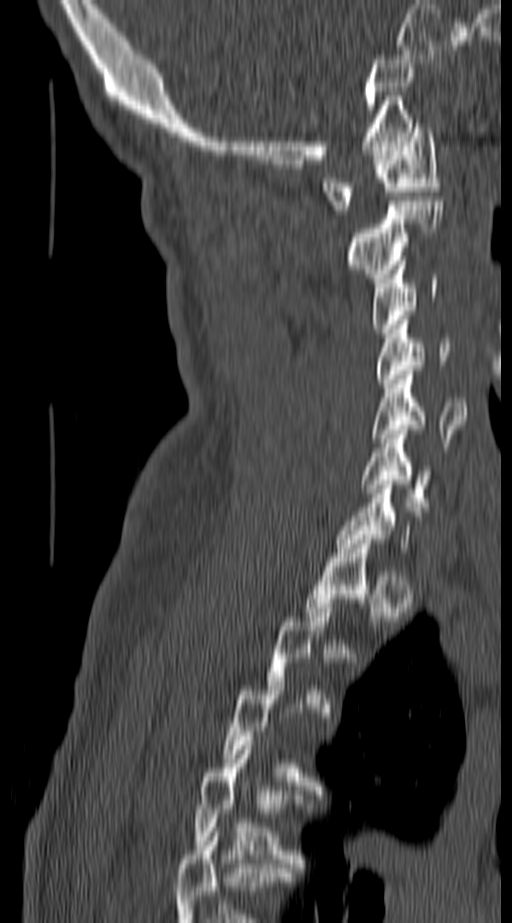

Spine CT — sagittal view — Bone window (WL 400, WW 1800) — 512x923 px
Not every vertebra on this slice has a box: a vertebra is boxed only from the first to the last slice where its cross-section is at least a third of its largest, and this slice is outside that range for at least one of them.
<vertebrae><v name="C1" x1="323" y1="123" x2="440" y2="214"/><v name="C2" x1="349" y1="201" x2="443" y2="282"/><v name="C3" x1="371" y1="261" x2="436" y2="333"/><v name="C4" x1="378" y1="320" x2="453" y2="388"/><v name="C5" x1="371" y1="370" x2="466" y2="452"/><v name="C6" x1="361" y1="430" x2="433" y2="506"/></vertebrae>